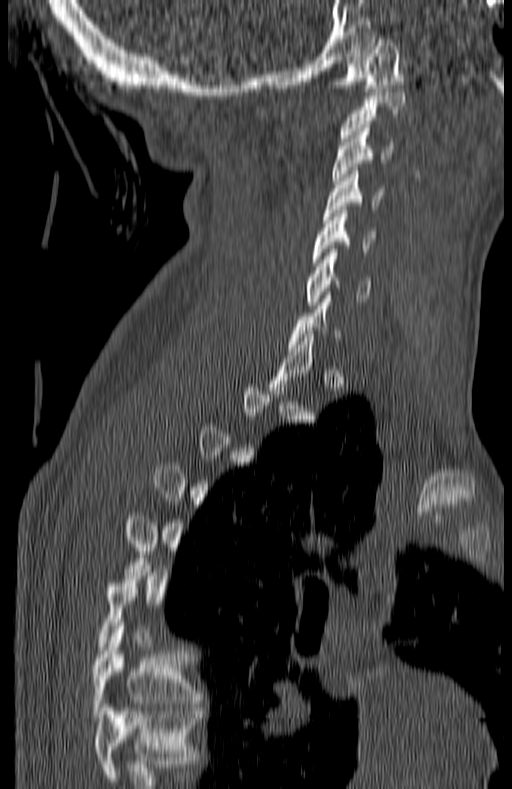

Spine computed tomography; sagittal view; 512x789 px
Columns x1, y1, x2, y2 give each box's top-left and bottom-right pixels.
A vertebra is boxed only from the first to the last slice where its cross-section is at least a third of its largest; slices outside that range leave it without a box.
The highest labeled vertebra in this scan is C1; the lowest is T7.
| vertebra | x1 | y1 | x2 | y2 |
|---|---|---|---|---|
| C1 | 337 | 39 | 401 | 91 |
| C2 | 339 | 89 | 404 | 141 |
| C3 | 332 | 128 | 393 | 184 |
| C4 | 322 | 171 | 384 | 219 |
| C5 | 314 | 210 | 375 | 266 |
| C6 | 305 | 249 | 370 | 305 |
| T7 | 92 | 626 | 202 | 717 |